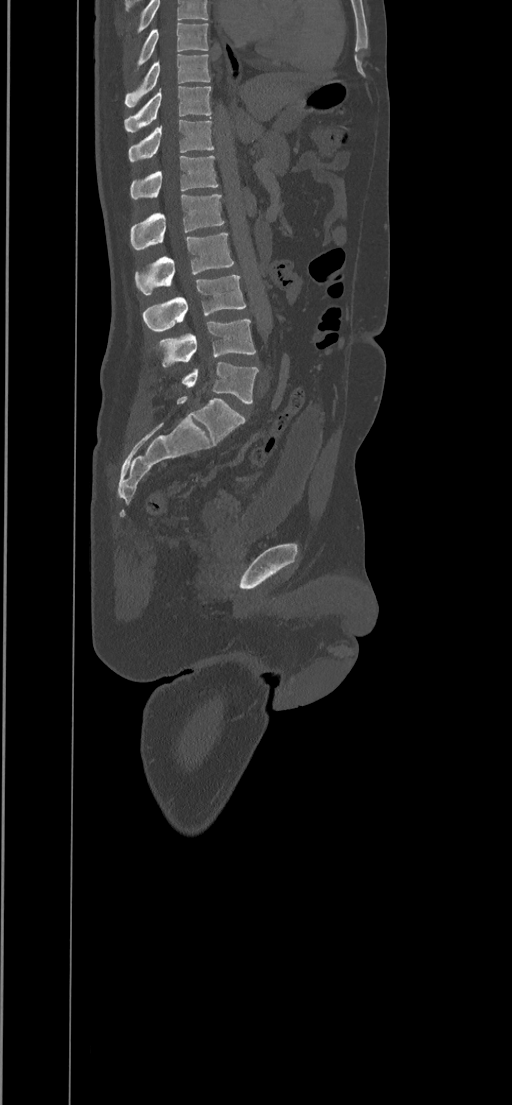 Computed tomography of the spine. sagittal view. Bone window (WL 400, WW 1800)
Boxes: x1:y1:x2:y2 in pixels.
This scan's labels start at T8 at the top and end at L5 at the bottom.
Vertebra bounding boxes:
- T8: 137:22:208:69
- T9: 124:54:210:107
- T10: 124:86:212:133
- T11: 128:119:214:161
- T12: 130:156:218:199
- L1: 131:193:224:250
- L2: 135:233:234:294
- L3: 143:275:245:331
- L4: 154:319:255:366
- L5: 182:362:258:404